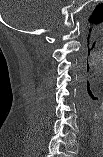

Spine CT · 103 mm wide · sagittal view
Box values are [left, top, right, bottom] in pixels.
The highest labeled vertebra in this scan is C1; the lowest is C7.
{"vertebrae":{"C7":[53,110,78,133],"C6":[55,97,76,117],"C5":[56,83,75,103],"C4":[56,70,76,89],"C3":[57,58,76,74],"C2":[52,40,80,61],"C1":[46,21,79,42]}}